Spine CT — Sagittal slice 332/768 — 768x1218 px — 6 vertebrae labeled in this scan
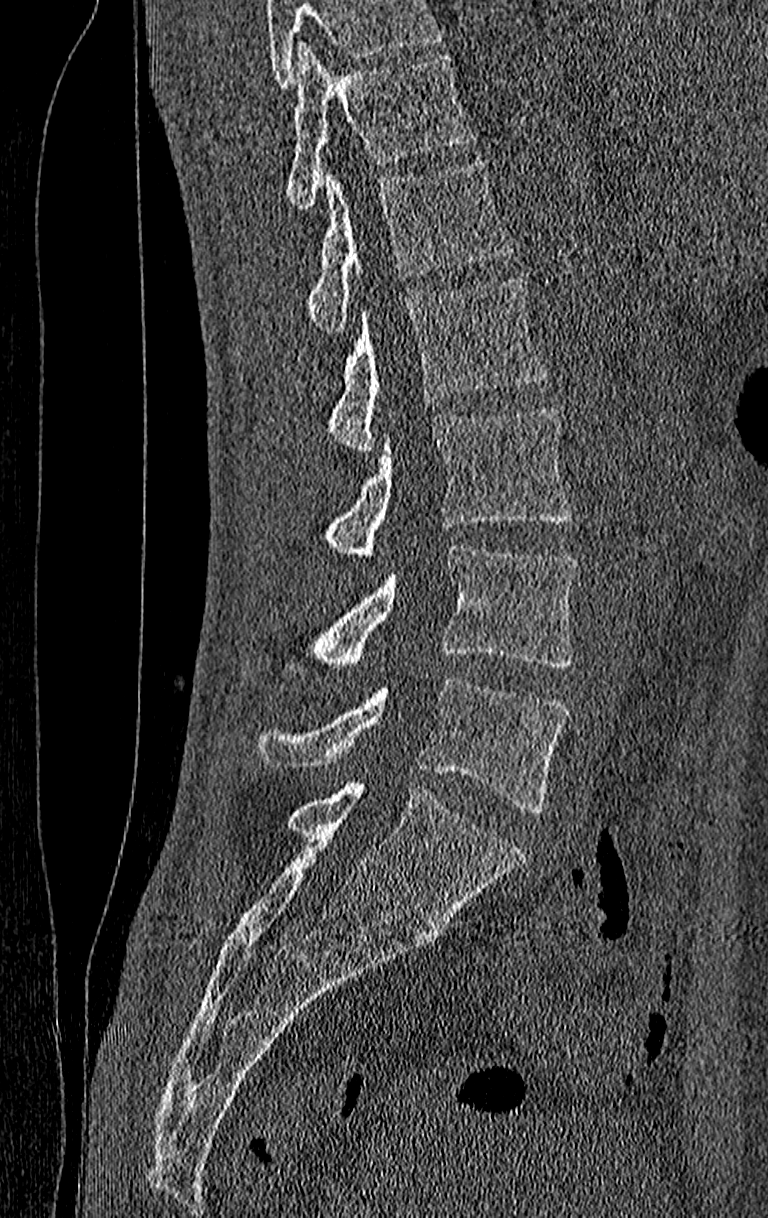

Boxes are (x1, y1, x2, y2) in pixels.
No box is given to a vertebra that the top edge of the scan cuts off.
The highest labeled vertebra in this scan is T11; the lowest is L4.
L4: (255, 678, 568, 812)
L3: (284, 546, 575, 680)
L2: (324, 406, 572, 560)
L1: (328, 275, 546, 453)
T12: (306, 161, 517, 333)
T11: (284, 44, 473, 208)